CT — sagittal plane, index 36
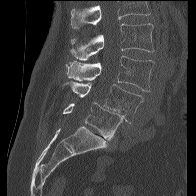

Coordinates as <box>x1,y1,x2,y2</box>. No box is given to a vertebra that the top edge of the scan cuts off. Vertebrae labeled: L2 at <box>70,23,154,60</box>, L3 at <box>66,56,154,91</box>, L4 at <box>70,81,143,123</box>, L5 at <box>63,102,123,139</box>.